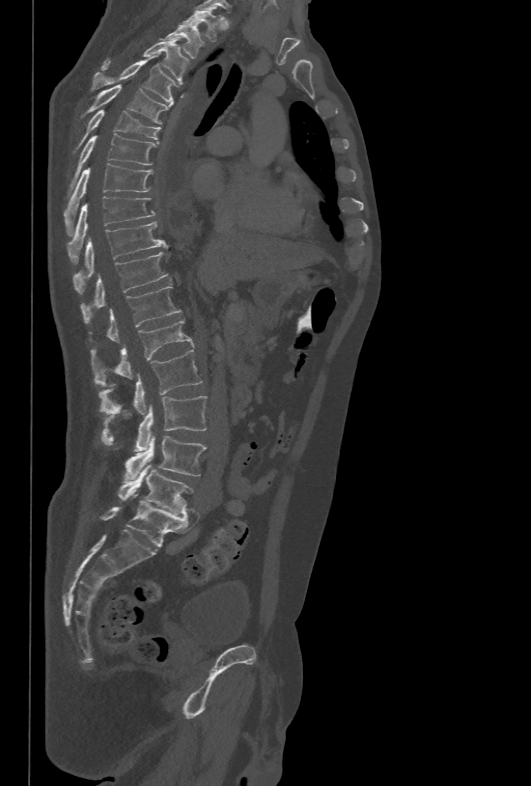
Computed tomography of the spine. sagittal view. 478 mm wide. bone window. 531x786 px

Box values are [left, top, right, bottom] in pixels.
{"vertebrae":{"L5":[118,464,192,514],"L4":[123,435,206,481],"L3":[101,396,206,451],"L2":[99,349,202,414],"L1":[91,320,193,386],"T12":[107,286,182,342],"T11":[81,252,169,322],"T10":[74,222,165,293],"T9":[66,196,155,264],"T8":[64,163,153,234],"T7":[70,134,157,186],"T6":[74,109,160,153],"T5":[81,85,168,124],"T4":[90,55,178,104],"T3":[101,36,189,83],"T2":[161,24,204,58],"T1":[184,9,220,41]}}